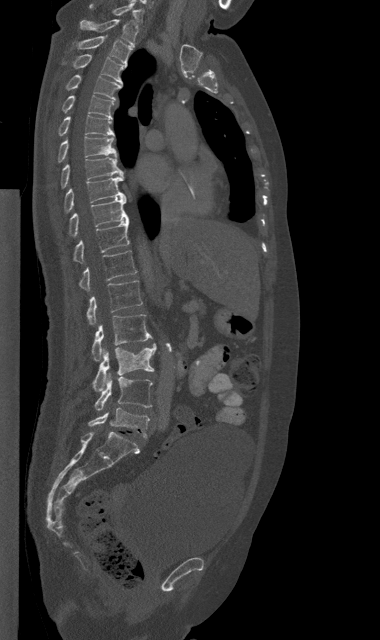

CT. sagittal reformat
<vertebrae><v name="C7" x1="89" y1="3" x2="142" y2="20"/><v name="T1" x1="80" y1="19" x2="137" y2="45"/><v name="T2" x1="76" y1="36" x2="132" y2="65"/><v name="T3" x1="74" y1="54" x2="125" y2="84"/><v name="T4" x1="66" y1="75" x2="122" y2="100"/><v name="T5" x1="62" y1="95" x2="113" y2="118"/><v name="T6" x1="58" y1="116" x2="114" y2="135"/><v name="T7" x1="58" y1="136" x2="117" y2="162"/><v name="T8" x1="60" y1="157" x2="123" y2="188"/><v name="T9" x1="64" y1="175" x2="126" y2="212"/><v name="T10" x1="69" y1="198" x2="128" y2="236"/><v name="T11" x1="73" y1="220" x2="129" y2="262"/><v name="T12" x1="79" y1="251" x2="136" y2="290"/><v name="L1" x1="86" y1="280" x2="142" y2="325"/><v name="L2" x1="92" y1="314" x2="152" y2="361"/><v name="L3" x1="93" y1="344" x2="156" y2="391"/><v name="L4" x1="94" y1="374" x2="152" y2="410"/><v name="L5" x1="88" y1="407" x2="149" y2="438"/></vertebrae>